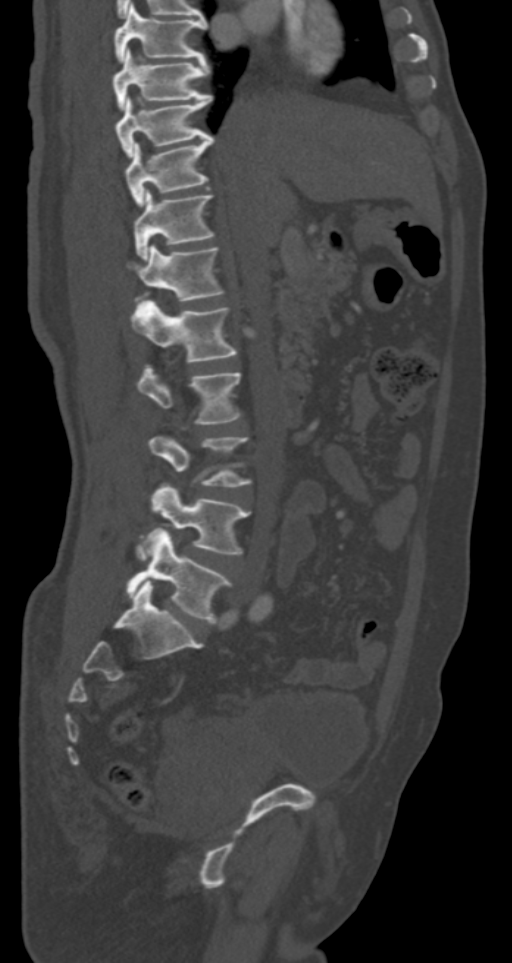 Spine computed tomography. sagittal reformat. Bone window (WL 400, WW 1800). Coordinates as <box>x1,y1,x2,y2</box>. The labeled vertebrae in this slice are: T7 at <box>114,4,206,61</box>, T8 at <box>112,50,209,109</box>, T9 at <box>116,94,213,156</box>, T10 at <box>124,135,214,204</box>, T11 at <box>133,191,214,259</box>, T12 at <box>128,246,223,302</box>, L1 at <box>132,301,238,362</box>, L2 at <box>137,366,241,424</box>, L3 at <box>148,435,250,486</box>, L4 at <box>136,483,250,558</box>, L5 at <box>126,529,231,623</box>.